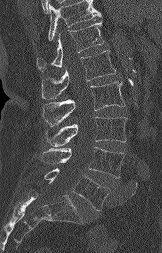
Computed tomography of the spine; sagittal view; bone window
Bounding boxes as [x1, y1, x2, y2] in pixel coordinates. Where the top of the scan cuts through a vertebra, that vertebra gets no label or box. The labeled vertebrae in this slice are: L5 at [44, 168, 108, 210], L4 at [41, 147, 124, 178], L3 at [46, 116, 127, 146], L2 at [42, 81, 125, 125], L1 at [41, 50, 115, 99], T12 at [37, 21, 104, 71].